CT spine · sagittal reformat · a uniform gray block covers part of the image
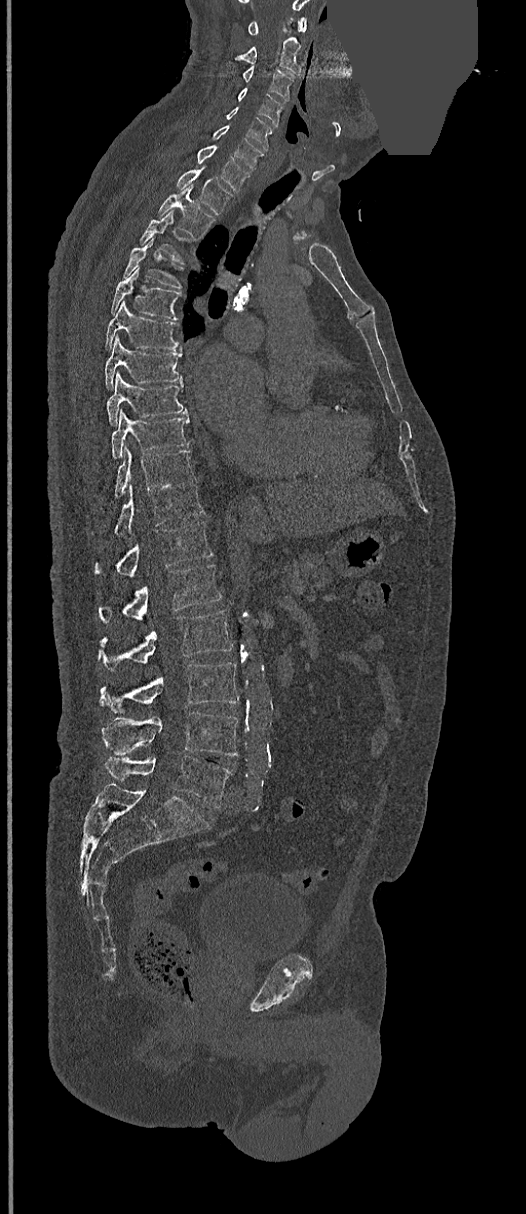

Each box given as x1,y1,x2,y2.
C1: x1=246, y1=18, x2=307, y2=35
C2: x1=227, y1=24, x2=303, y2=75
C3: x1=241, y1=66, x2=293, y2=100
C4: x1=237, y1=87, x2=284, y2=126
C5: x1=224, y1=107, x2=273, y2=150
C6: x1=212, y1=124, x2=265, y2=170
C7: x1=197, y1=144, x2=251, y2=192
T1: x1=176, y1=169, x2=232, y2=213
T2: x1=158, y1=184, x2=215, y2=239
T3: x1=140, y1=209, x2=192, y2=263
T4: x1=122, y1=237, x2=183, y2=289
T5: x1=111, y1=266, x2=182, y2=320
T6: x1=104, y1=301, x2=180, y2=350
T7: x1=104, y1=337, x2=182, y2=389
T8: x1=107, y1=373, x2=186, y2=425
T9: x1=111, y1=411, x2=189, y2=459
T10: x1=113, y1=447, x2=194, y2=498
T11: x1=91, y1=483, x2=203, y2=538
T12: x1=94, y1=521, x2=212, y2=576
L1: x1=99, y1=564, x2=222, y2=623
L2: x1=99, y1=610, x2=233, y2=670
L3: x1=100, y1=663, x2=239, y2=715
L4: x1=102, y1=711, x2=237, y2=755
L5: x1=104, y1=756, x2=232, y2=808